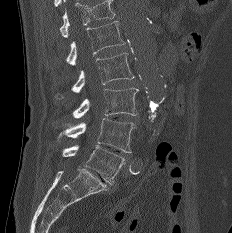 Spine computed tomography. sagittal reformat. bone-window reconstruction. 232x233 px
Where the top of the scan cuts through a vertebra, that vertebra gets no label or box.
<vertebrae><v name="L1" x1="66" y1="21" x2="124" y2="64"/><v name="L2" x1="55" y1="52" x2="134" y2="99"/><v name="L3" x1="72" y1="88" x2="138" y2="118"/><v name="L4" x1="56" y1="118" x2="135" y2="153"/><v name="L5" x1="62" y1="145" x2="125" y2="184"/></vertebrae>